Spine computed tomography — sagittal view — 512x732 px — 9 vertebrae labeled in this scan
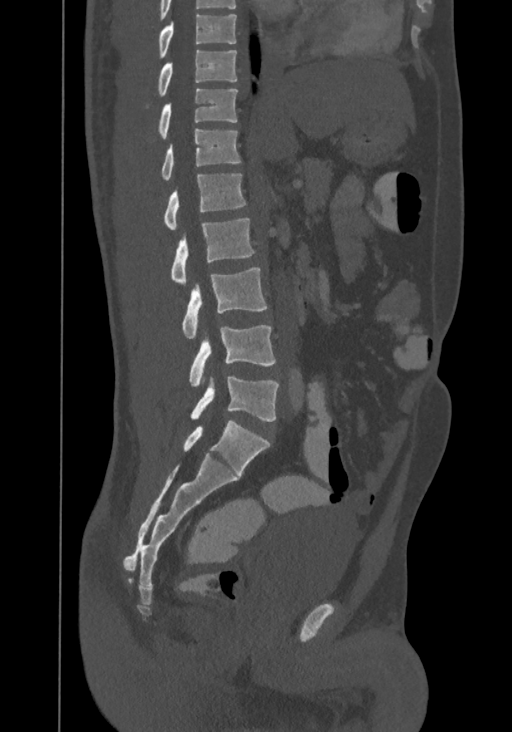

Coordinates as <box>x1,y1,x2,y2</box>.
In this scan, the topmost labeled vertebra is T8 and the lowest is L4.
L4: <box>191,377,279,421</box>
L3: <box>190,325,275,387</box>
L2: <box>183,267,267,338</box>
L1: <box>171,217,254,285</box>
T12: <box>164,173,246,229</box>
T11: <box>162,128,240,180</box>
T10: <box>159,88,237,138</box>
T9: <box>157,49,237,97</box>
T8: <box>159,14,236,57</box>